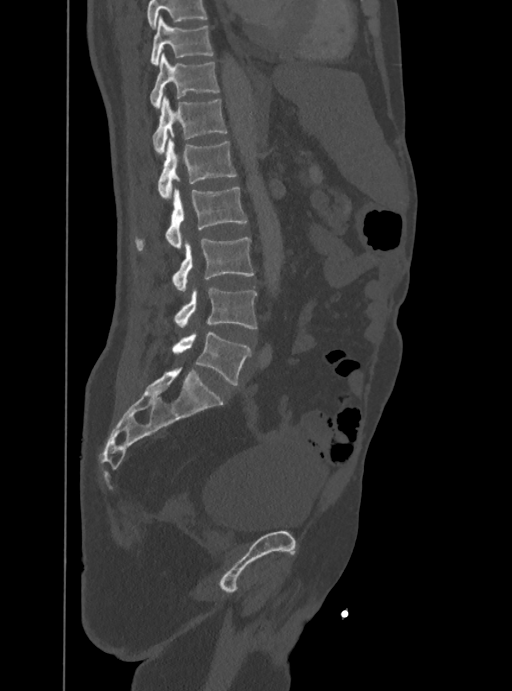
CT — sagittal reformat — 388 mm wide — bone window
Bounding boxes as [x1, y1, x2, y2] in pixel coordinates.
Where the top of the scan cuts through a vertebra, that vertebra gets no label or box.
L5: [171, 333, 250, 385]
L4: [174, 287, 257, 329]
L3: [171, 238, 254, 290]
L2: [134, 188, 247, 252]
L1: [158, 137, 236, 199]
T12: [153, 96, 227, 153]
T11: [150, 53, 219, 107]
T10: [150, 17, 214, 64]